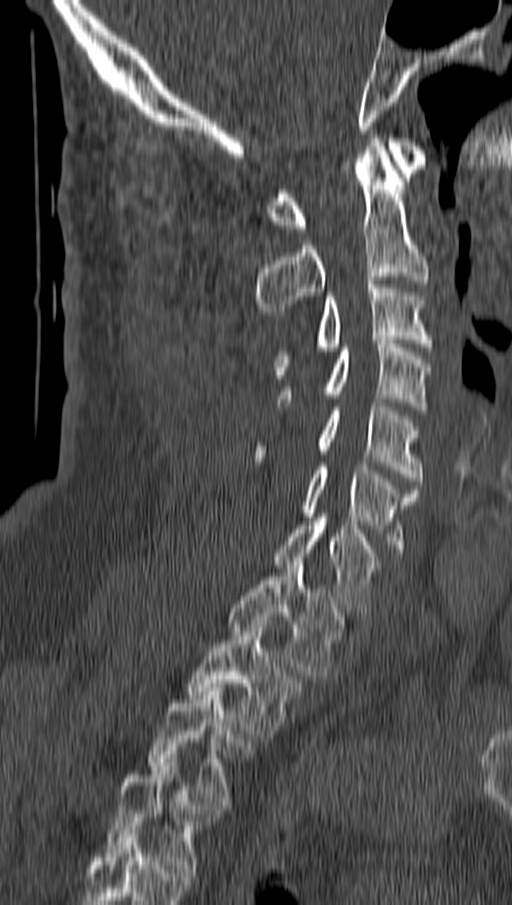
CT spine; 162 mm image width; sagittal view
Boxes are (x1, y1, x2, y2) in pixels.
C1: (267, 138, 426, 232)
C2: (257, 138, 430, 315)
C3: (275, 280, 433, 374)
C4: (279, 340, 430, 410)
C5: (257, 399, 420, 485)
C6: (301, 462, 418, 556)
C7: (273, 518, 376, 611)
T1: (229, 561, 345, 679)
T2: (188, 620, 300, 738)
T3: (146, 687, 253, 805)
T4: (105, 759, 215, 876)